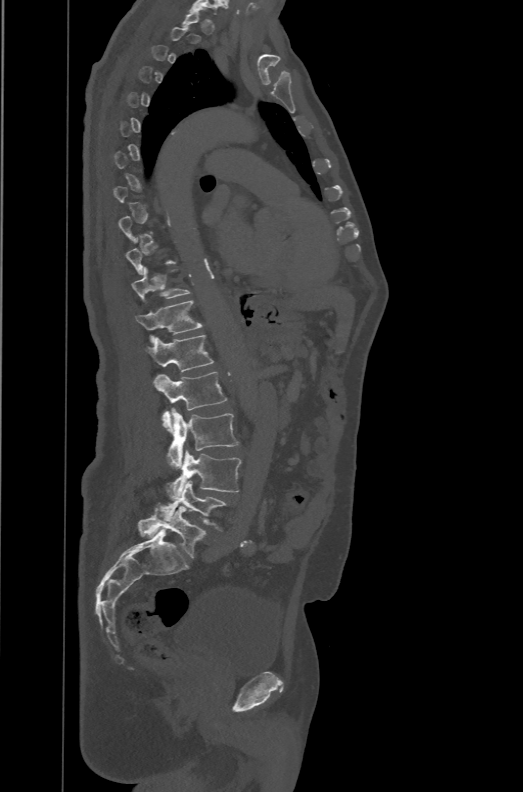
Spine computed tomography; sagittal view; Bone window (WL 400, WW 1800)
Each box given as x1,y1,x2,y2.
A vertebra is boxed only from the first to the last slice where its cross-section is at least a third of its largest; slices outside that range leave it without a box.
These labels give the spine a sixth lumbar vertebra, L6, below L5.
Vertebra bounding boxes:
- L6: x1=138, y1=502, x2=205, y2=558
- L5: x1=158, y1=480, x2=228, y2=530
- L4: x1=166, y1=450, x2=241, y2=499
- L3: x1=168, y1=408, x2=239, y2=468
- L2: x1=153, y1=372, x2=227, y2=432
- L1: x1=144, y1=334, x2=214, y2=372
- T12: x1=134, y1=300, x2=202, y2=343
- T11: x1=131, y1=266, x2=191, y2=301